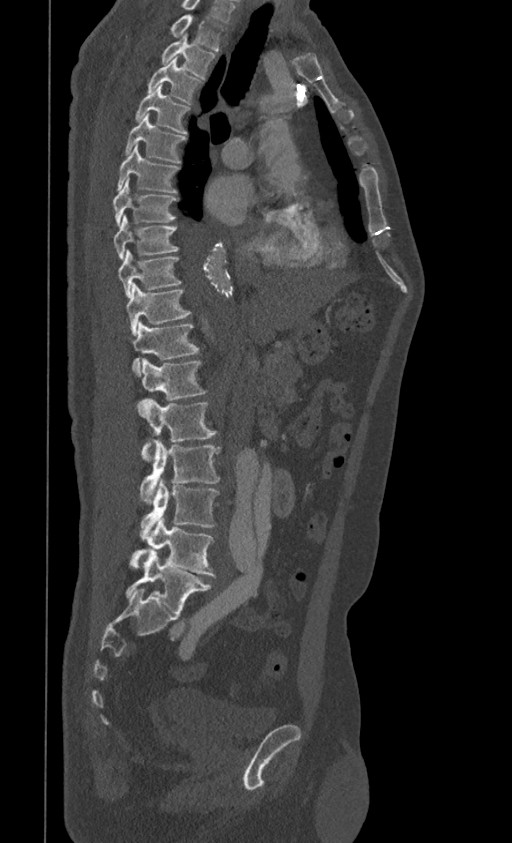
Spine computed tomography. sagittal view. W/L 1800/400 HU. 512x843 px
Boxes below are [x1, y1, x2, y2] in pixels.
This scan's labels start at T1 at the top and end at L5 at the bottom.
{"vertebrae":{"L5":[125,552,212,613],"L4":[129,517,216,576],"L3":[140,478,220,539],"L2":[140,440,220,504],"L1":[138,400,217,461],"T12":[142,358,207,400],"T11":[132,321,199,377],"T10":[127,284,191,335],"T9":[118,249,181,297],"T8":[114,215,179,260],"T7":[113,178,179,225],"T6":[117,143,180,193],"T5":[124,114,186,163],"T4":[135,84,190,134],"T3":[147,59,202,104],"T2":[162,32,215,78],"T1":[169,14,226,50]}}